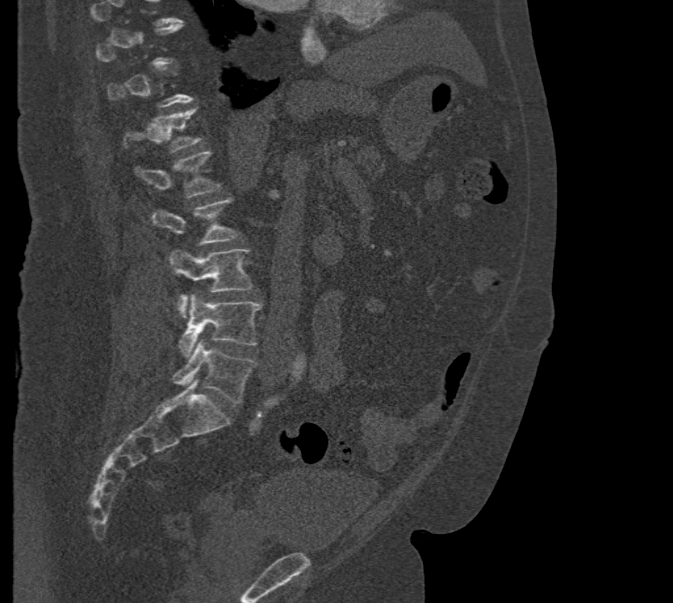

CT spine · sagittal reformat · bone-window reconstruction · 673x603 px
Not every vertebra on this slice has a box: a vertebra is boxed only from the first to the last slice where its cross-section is at least a third of its largest, and this slice is outside that range for at least one of them.
<vertebrae><v name="T12" x1="122" y1="106" x2="201" y2="152"/><v name="L1" x1="134" y1="152" x2="220" y2="198"/><v name="L2" x1="151" y1="198" x2="239" y2="244"/><v name="L3" x1="168" y1="249" x2="251" y2="317"/><v name="L4" x1="179" y1="293" x2="262" y2="357"/><v name="L5" x1="171" y1="340" x2="255" y2="402"/></vertebrae>